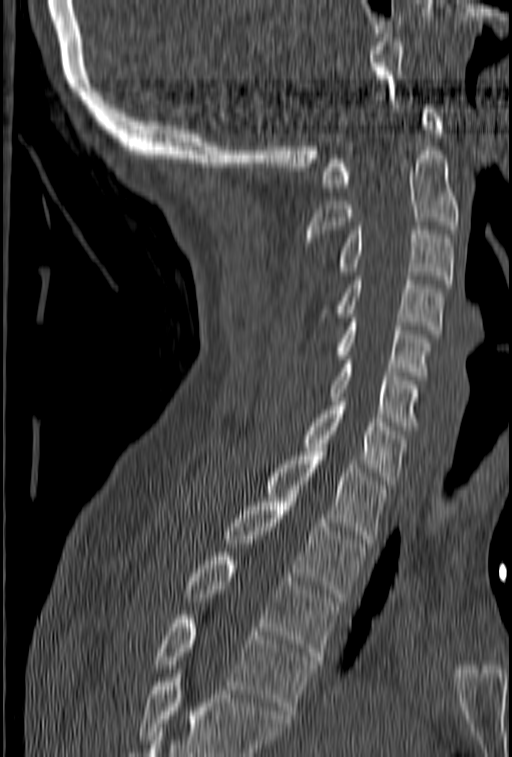
CT · image width 153 mm · sagittal reformat · bone window

No box is given to a vertebra that the bottom edge of the scan cuts off.
<vertebrae><v name="C1" x1="322" y1="105" x2="443" y2="187"/><v name="C2" x1="303" y1="151" x2="459" y2="242"/><v name="C3" x1="319" y1="226" x2="454" y2="283"/><v name="C4" x1="317" y1="276" x2="445" y2="334"/><v name="C5" x1="336" y1="314" x2="432" y2="380"/><v name="C6" x1="329" y1="360" x2="418" y2="430"/><v name="C7" x1="302" y1="397" x2="408" y2="488"/><v name="T1" x1="265" y1="452" x2="386" y2="543"/><v name="T2" x1="224" y1="498" x2="366" y2="597"/><v name="T3" x1="185" y1="552" x2="338" y2="660"/><v name="T4" x1="152" y1="615" x2="318" y2="714"/></vertebrae>